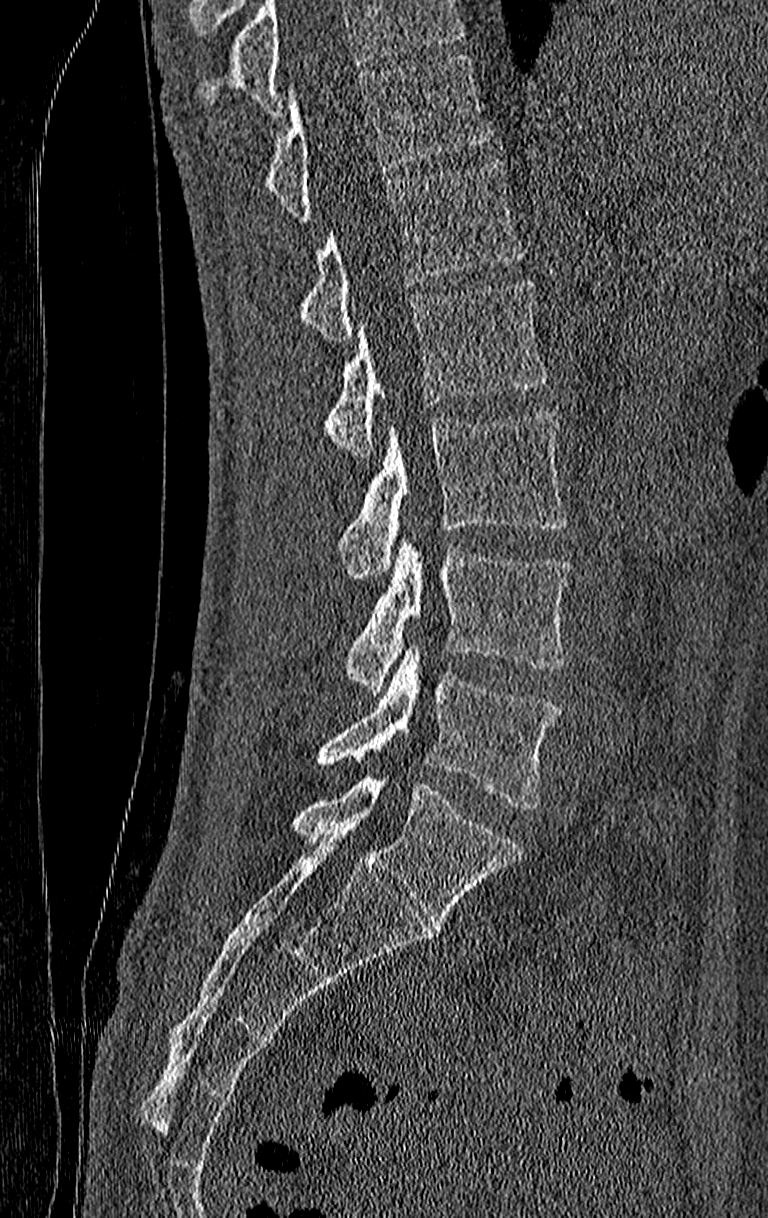
Computed tomography of the spine; 210 mm wide; sagittal view
Box edges are left/top/right/bottom in pixels. A vertebra cut off by the top edge of the scan is not labeled and has no box. The highest labeled vertebra in this scan is T11; the lowest is L4. Vertebrae labeled: T11 at left=266, top=56, right=488, bottom=220, T12 at left=299, top=158, right=524, bottom=340, L1 at left=324, top=278, right=546, bottom=457, L2 at left=339, top=410, right=568, bottom=578, L3 at left=346, top=538, right=572, bottom=695, L4 at left=317, top=645, right=561, bottom=809.